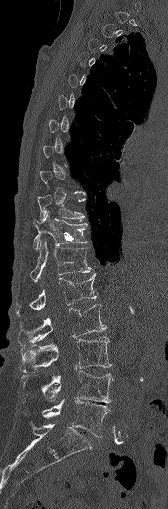

Computed tomography of the spine; sagittal view; Bone window (WL 400, WW 1800)
Boxes: x1:y1:x2:y2 in pixels. A vertebra is boxed only from the first to the last slice where its cross-section is at least a third of its largest; slices outside that range leave it without a box. The labeled vertebrae in this slice are: T10 at 37:195:84:220, T11 at 33:213:87:249, T12 at 31:237:91:282, L1 at 16:273:96:311, L2 at 18:304:106:347, L3 at 20:336:111:372, L4 at 21:370:112:403, L5 at 42:399:109:436.